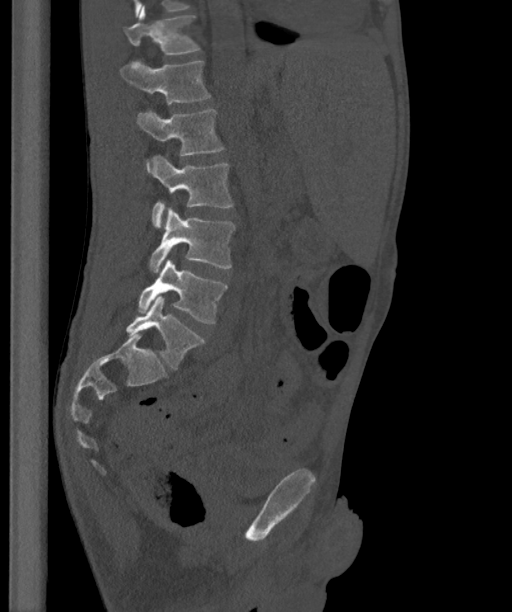 Spine computed tomography; sagittal view; 363 mm across the image
Each vertebra maps to its box as [x1, y1, x2, y2], the pixel coordinates of its top-left and bottom-right corners.
In these labels the spine has an L6, a sixth lumbar vertebra below L5.
{"vertebrae":{"T12":[124,6,199,54],"L1":[119,60,210,104],"L2":[137,108,223,170],"L3":[150,155,233,227],"L4":[149,207,234,272],"L5":[137,259,227,323],"L6":[125,296,205,370]}}